Computed tomography of the spine · Sagittal slice 261/512 · W/L 1800/400 HU · 512x513 px
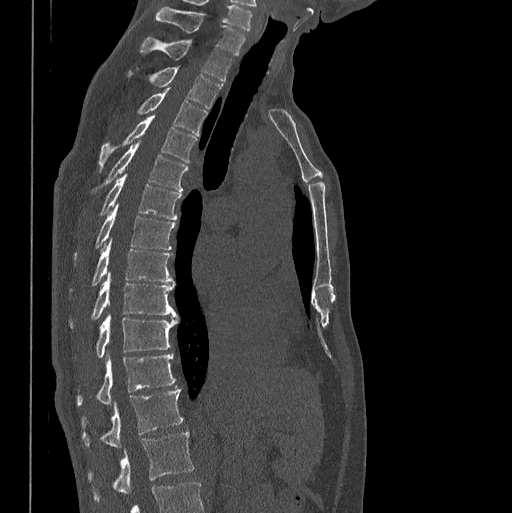 Box edges are left/top/right/bottom in pixels. The labeled vertebrae in this slice are: C7 at left=156, top=7, right=245, bottom=56, T1 at left=140, top=37, right=233, bottom=81, T2 at left=128, top=66, right=223, bottom=108, T3 at left=138, top=88, right=207, bottom=134, T4 at left=99, top=116, right=197, bottom=169, T5 at left=103, top=141, right=187, bottom=190, T6 at left=100, top=174, right=180, bottom=219, T7 at left=74, top=204, right=174, bottom=257, T8 at left=92, top=239, right=173, bottom=285, T9 at left=71, top=272, right=178, bottom=327, T10 at left=96, top=315, right=178, bottom=358, T11 at left=77, top=353, right=175, bottom=405, T12 at left=82, top=388, right=183, bottom=447, L1 at left=89, top=432, right=193, bottom=500.